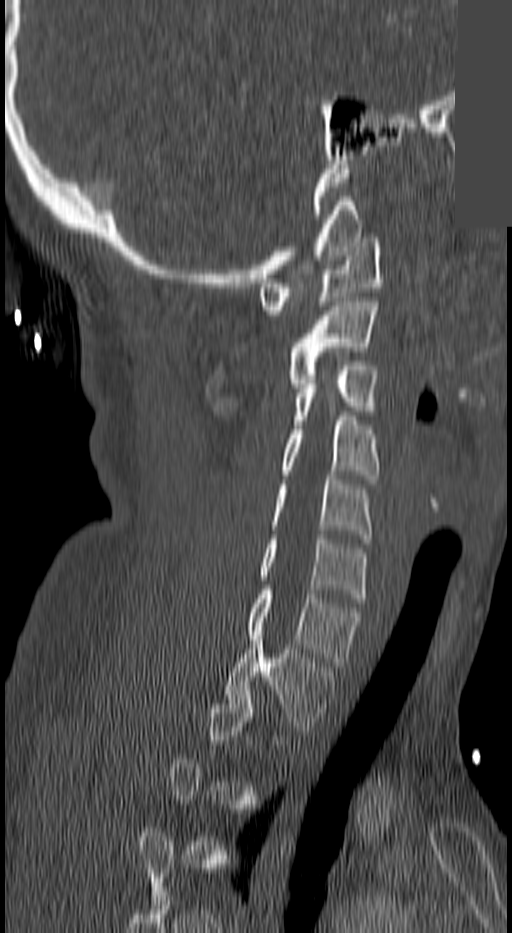 CT, spine. sagittal view. bone window. 512x933 px. part of the image has been replaced by a constant value. Each box given as x1,y1,x2,y2.
Each vertebra is boxed only on the slices from the first to the last where its cross-section reaches a third of its largest, so a slice outside that range leaves it unboxed.
| vertebra | x1 | y1 | x2 | y2 |
|---|---|---|---|---|
| C1 | 257 | 238 | 381 | 314 |
| C2 | 287 | 302 | 377 | 388 |
| C3 | 292 | 361 | 377 | 429 |
| C4 | 283 | 416 | 377 | 484 |
| C5 | 272 | 475 | 373 | 538 |
| C6 | 257 | 535 | 366 | 602 |
| C7 | 246 | 590 | 359 | 666 |
| T1 | 224 | 635 | 333 | 730 |